CT spine — sagittal reformat — 512x640 px — the image is 180 mm wide
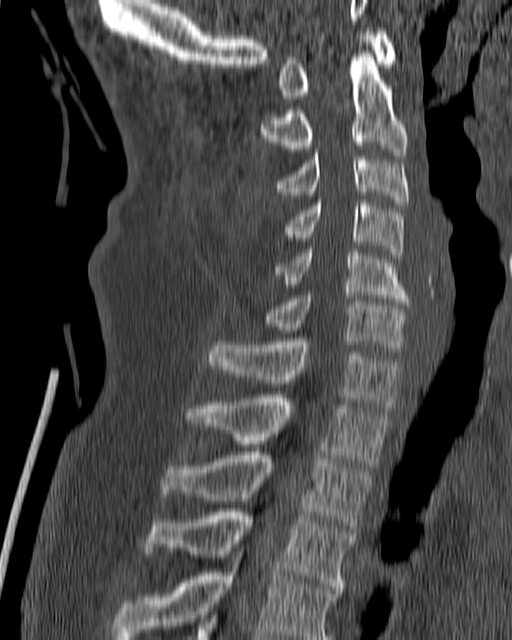

<vertebrae><v name="C1" x1="279" y1="28" x2="396" y2="99"/><v name="C2" x1="257" y1="50" x2="407" y2="155"/><v name="C3" x1="274" y1="149" x2="409" y2="205"/><v name="C4" x1="285" y1="199" x2="404" y2="259"/><v name="C5" x1="274" y1="249" x2="409" y2="305"/><v name="C6" x1="263" y1="292" x2="409" y2="347"/><v name="C7" x1="206" y1="338" x2="401" y2="408"/><v name="T1" x1="184" y1="395" x2="387" y2="465"/><v name="T2" x1="160" y1="452" x2="373" y2="529"/><v name="T3" x1="143" y1="508" x2="355" y2="593"/><v name="T4" x1="112" y1="548" x2="338" y2="639"/></vertebrae>